Spine CT. sagittal view. Bone window (WL 400, WW 1800)
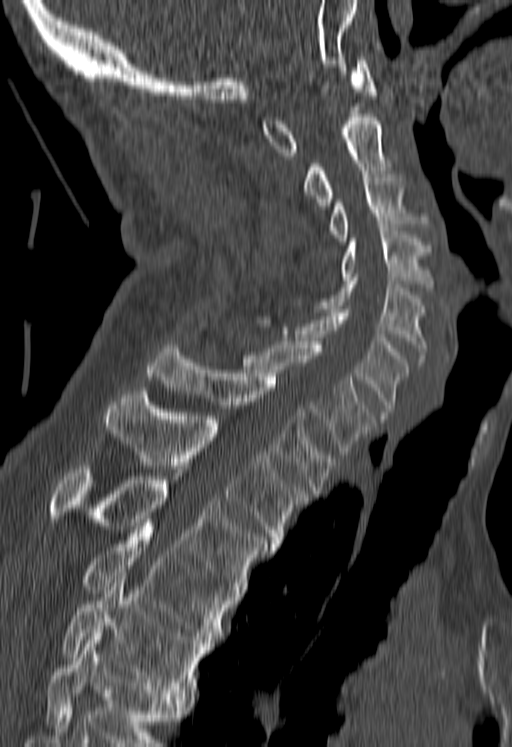
Boxes are (x1, y1, x2, y2) in pixels.
Where the bottom of the scan cuts through a vertebra, that vertebra gets no label or box.
Vertebra bounding boxes:
- T5: (63, 572, 208, 696)
- T4: (83, 523, 230, 643)
- T3: (49, 466, 270, 596)
- T2: (103, 391, 307, 547)
- T1: (146, 345, 336, 493)
- C7: (243, 338, 373, 454)
- C6: (256, 309, 407, 419)
- C5: (317, 277, 427, 362)
- C4: (339, 228, 432, 291)
- C3: (328, 174, 429, 241)
- C2: (302, 114, 390, 209)
- C1: (262, 60, 375, 155)